Spine computed tomography — sagittal reformat — image width 165 mm — 10 vertebrae labeled in this scan
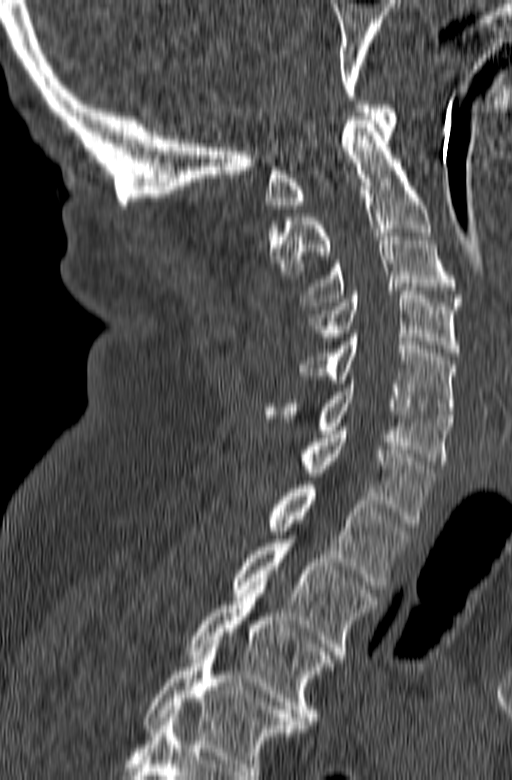 Boxes: x1 y1 x2 y2 (pixel coords, space-separated).
The highest labeled vertebra in this scan is C1; the lowest is T3.
T3: 186 586 334 728
T2: 234 539 379 658
T1: 265 481 411 589
C7: 299 427 435 527
C6: 263 380 452 464
C5: 299 334 456 418
C4: 307 291 460 356
C3: 302 229 463 309
C2: 267 116 431 278
C1: 265 105 397 208